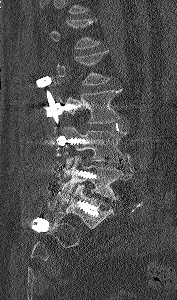

Computed tomography of the spine — sagittal view
Each vertebra is boxed only on the slices from the first to the last where its cross-section reaches a third of its largest, so a slice outside that range leaves it unboxed.
<vertebrae><v name="L5" x1="61" y1="156" x2="131" y2="202"/><v name="L4" x1="61" y1="125" x2="130" y2="167"/><v name="L3" x1="60" y1="89" x2="121" y2="123"/><v name="L2" x1="56" y1="51" x2="110" y2="85"/></vertebrae>